CT — sagittal view — 512x640 px — scan covers 11 annotated vertebrae
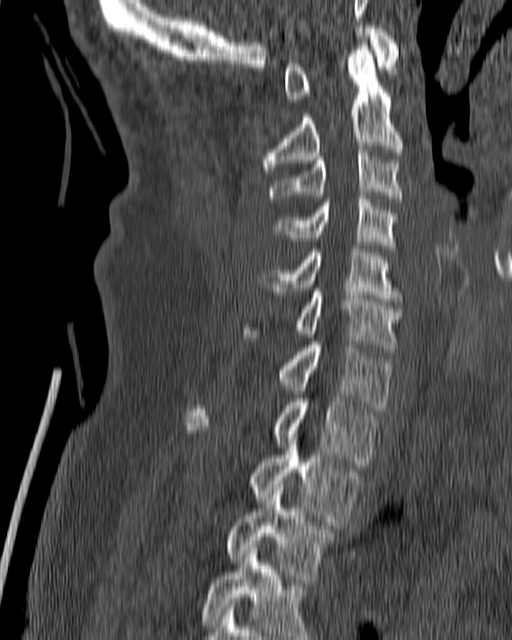
Boxes are given in columns x1, y1, x2, y2, the pixel coordinates of their top-left and bottom-right corners.
| vertebra | x1 | y1 | x2 | y2 |
|---|---|---|---|---|
| C1 | 284 | 25 | 399 | 102 |
| C2 | 263 | 43 | 402 | 173 |
| C3 | 269 | 149 | 402 | 202 |
| C4 | 274 | 196 | 398 | 248 |
| C5 | 258 | 245 | 402 | 301 |
| C6 | 243 | 288 | 401 | 347 |
| C7 | 280 | 341 | 390 | 411 |
| T1 | 186 | 398 | 378 | 465 |
| T2 | 251 | 434 | 358 | 525 |
| T3 | 228 | 484 | 333 | 575 |
| T4 | 201 | 544 | 313 | 639 |